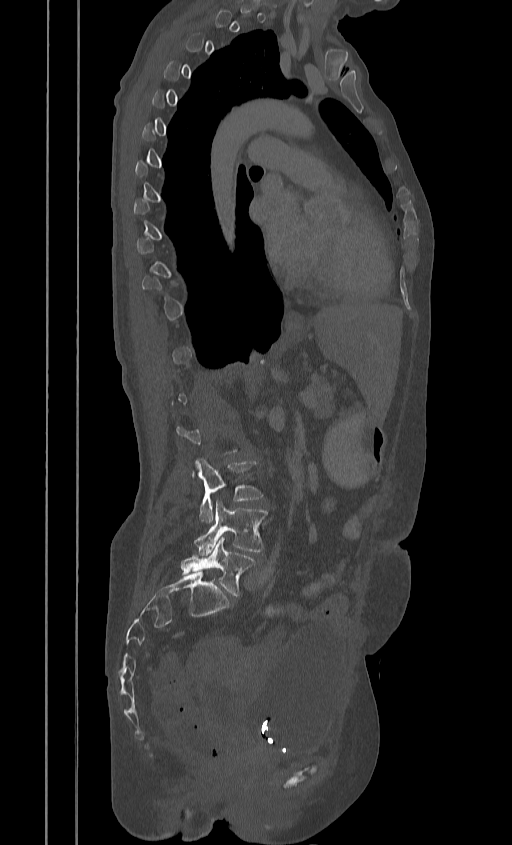 Computed tomography of the spine; sagittal view. Coordinates as <box>x1,y1,x2,y2</box>.
A vertebra gets a box only on the slices from the first to the last where its cross-section is at least a third of its largest; on a slice outside that range it gets none.
Vertebra bounding boxes:
- L3: <box>193,459,261,522</box>
- L4: <box>194,500,267,555</box>
- L5: <box>181,536,255,595</box>